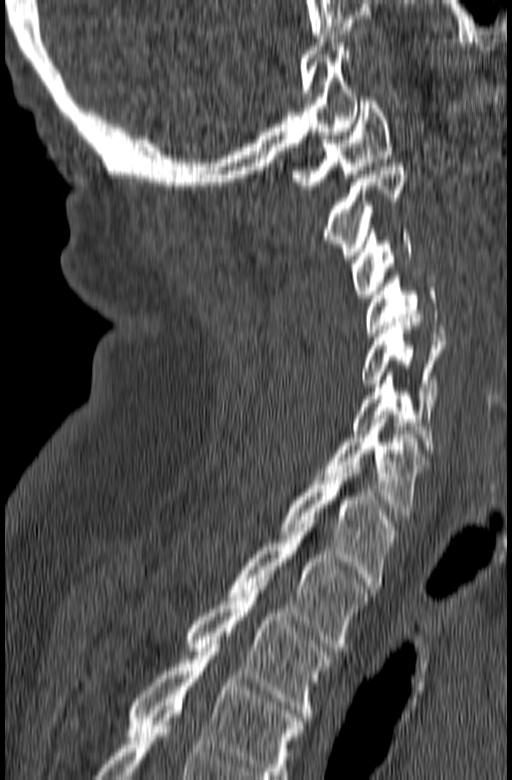
CT — sagittal reformat — bone window
Box values are [left, top, right, bottom] in pixels.
Labels in this scan begin with C1 at the top and end with T3 at the bottom.
{"vertebrae":{"C1":[291,97,391,189],"C2":[324,163,407,259],"C3":[352,229,411,298],"C4":[364,275,445,336],"C5":[361,318,444,399],"C6":[352,372,434,453],"C7":[314,419,428,515],"T1":[280,465,397,585],"T2":[228,520,372,647],"T3":[184,582,330,720]}}